Spine computed tomography — sagittal view — scan covers 10 annotated vertebrae
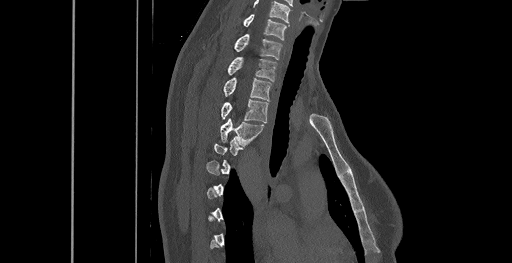
In the table, x1 and y1 are a box's top-left corner and x2 and y2 its bottom-right corner, in pixels.
A vertebra is boxed only from the first to the last slice where its cross-section is at least a third of its largest; slices outside that range leave it without a box.
This scan's labels start at C6 at the top and end at T8 at the bottom.
| vertebra | x1 | y1 | x2 | y2 |
|---|---|---|---|---|
| C6 | 243 | 14 | 286 | 40 |
| C7 | 235 | 34 | 281 | 59 |
| T1 | 227 | 57 | 276 | 81 |
| T2 | 224 | 77 | 271 | 101 |
| T3 | 220 | 99 | 268 | 122 |
| T4 | 220 | 117 | 263 | 145 |